Computed tomography of the spine — sagittal plane, index 143 — W/L 1800/400 HU — scan covers 16 annotated vertebrae
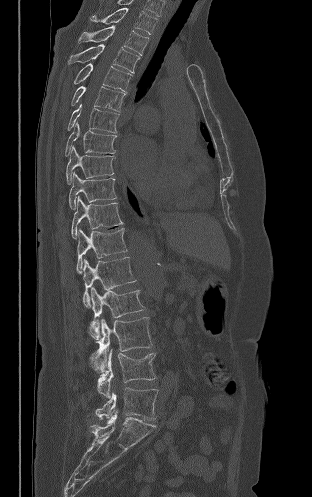
Boxes below are [x1, y1, x2, y2] in pixels.
{"vertebrae":{"T2":[91,8,157,34],"T3":[78,25,148,55],"T4":[68,44,139,73],"T5":[73,63,132,92],"T6":[71,86,125,111],"T7":[67,103,119,133],"T8":[65,121,116,156],"T9":[66,145,114,184],"T10":[69,172,116,209],"T11":[71,196,123,238],"T12":[76,228,127,273],"L1":[83,257,136,307],"L2":[90,287,144,340],"L3":[93,317,152,371],"L4":[90,349,155,398],"L5":[96,387,157,420]}}